CT spine · the image spans 444 mm across · sagittal view · W/L 1800/400 HU
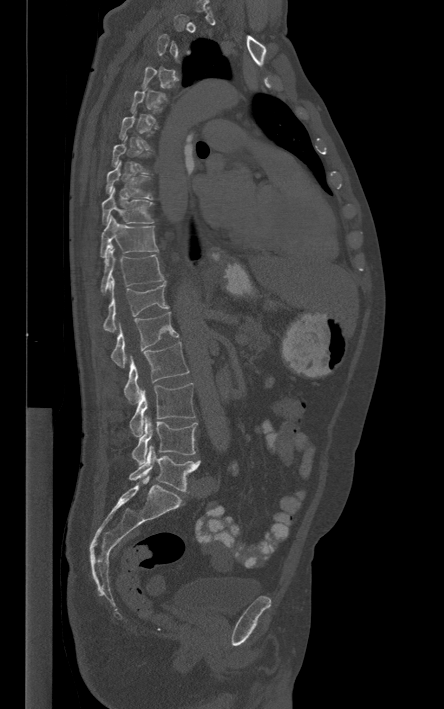
Boxes: x1 y1 x2 y2 (pixel coords, space-separated).
Each vertebra is boxed only on the slices from the first to the last where its cross-section reaches a third of its largest, so a slice outside that range leaves it unboxed.
Vertebra bounding boxes:
- T8: 106 161 152 199
- T9: 102 187 153 223
- T10: 101 215 158 257
- T11: 100 249 164 294
- T12: 103 277 168 332
- L1: 111 312 178 367
- L2: 124 342 189 404
- L3: 129 383 195 436
- L4: 132 416 197 464
- L5: 128 445 200 491